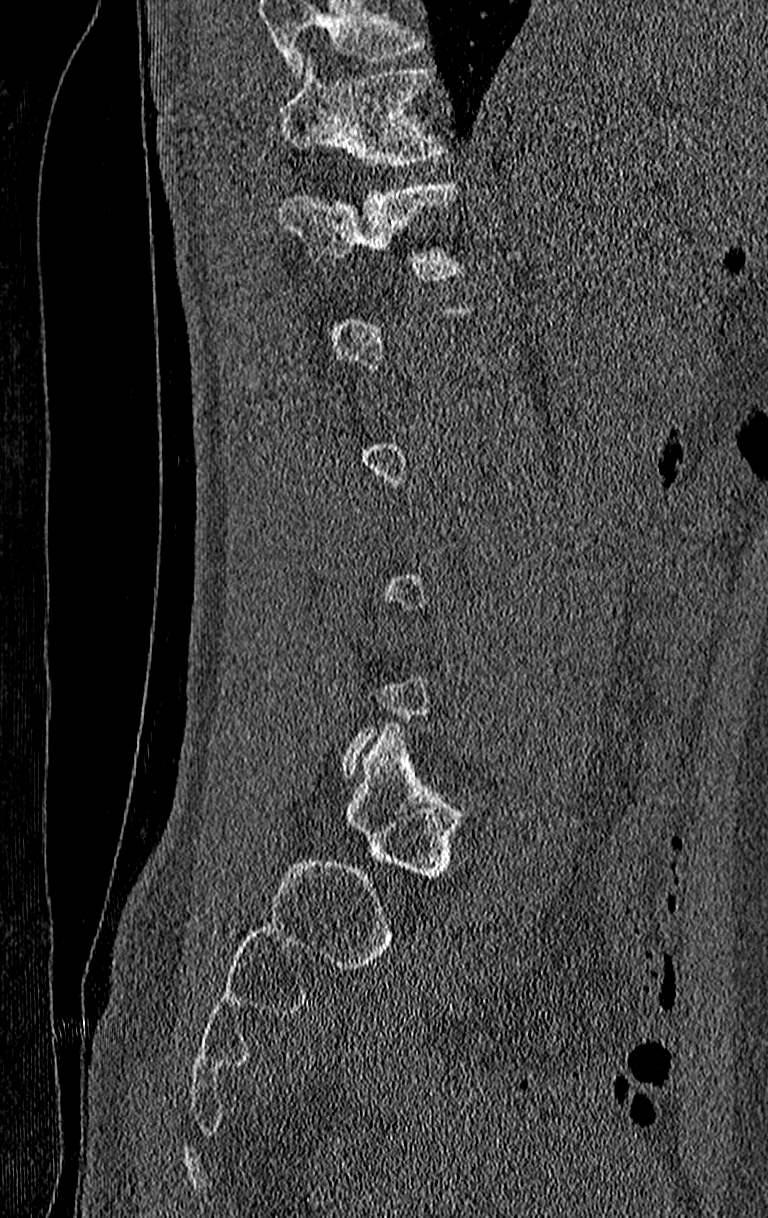 Computed tomography of the spine. sagittal view. 768x1218 px. 210 mm across the image. Boxes are (x1, y1, x2, y2) in pixels.
A vertebra is boxed only from the first to the last slice where its cross-section is at least a third of its largest; slices outside that range leave it without a box.
No box is given to a vertebra that the top edge of the scan cuts off.
Vertebra bounding boxes:
- T12: (280, 184, 462, 277)
- T11: (280, 59, 444, 165)